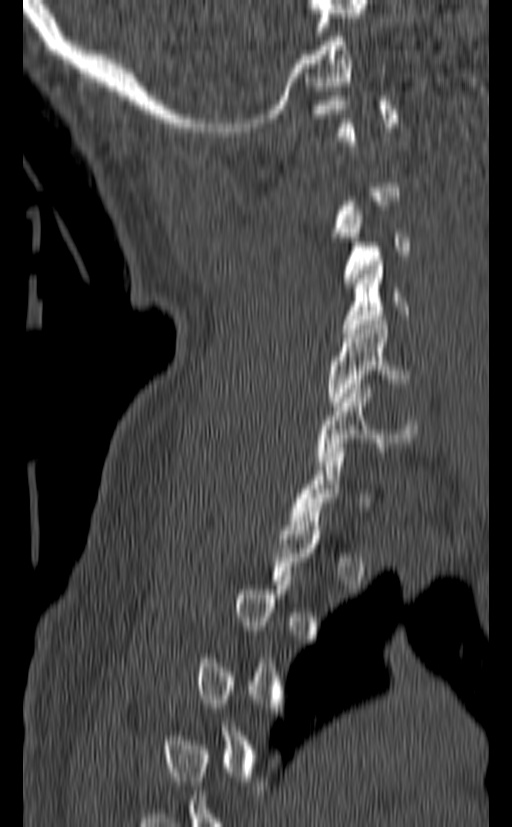
CT, spine · sagittal view · 140 mm wide
A vertebra is boxed only from the first to the last slice where its cross-section is at least a third of its largest; slices outside that range leave it without a box.
<vertebrae><v name="C6" x1="316" y1="384" x2="417" y2="465"/><v name="C5" x1="327" y1="320" x2="411" y2="406"/><v name="C4" x1="341" y1="261" x2="408" y2="333"/><v name="C3" x1="340" y1="210" x2="410" y2="287"/></vertebrae>